Computed tomography of the spine — Sagittal slice 273/512 — Bone window (WL 400, WW 1800) — scan covers 13 annotated vertebrae
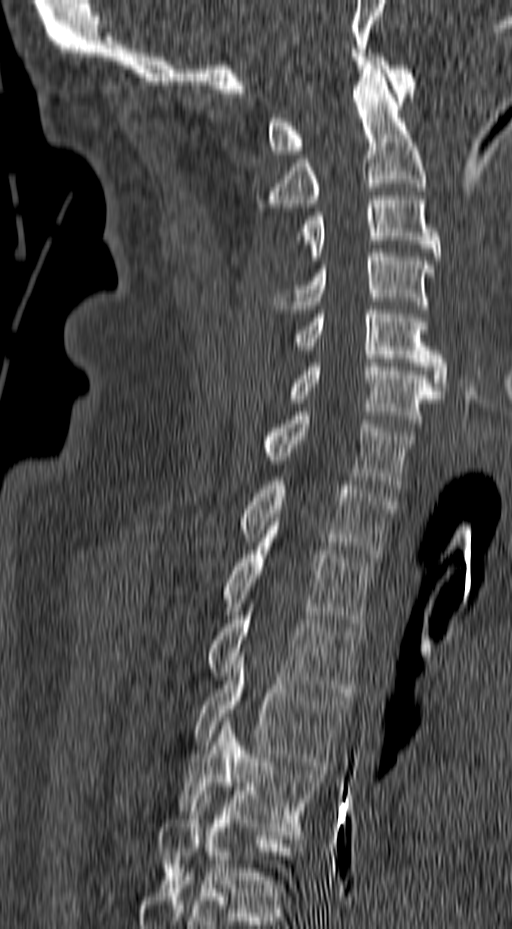 Each box given as x1,y1,x2,y2. The labeled vertebrae in this slice are: C1 at x1=267, y1=53, x2=416, y2=154, C2 at x1=256, y1=65, x2=427, y2=207, C3 at x1=295, y1=196, x2=440, y2=260, C4 at x1=273, y1=253, x2=435, y2=309, C5 at x1=295, y1=306, x2=447, y2=394, C6 at x1=287, y1=359, x2=442, y2=427, C7 at x1=262, y1=412, x2=414, y2=488, T1 at x1=239, y1=481, x2=395, y2=557, T2 at x1=220, y1=542, x2=375, y2=627, T3 at x1=207, y1=607, x2=362, y2=696, T4 at x1=194, y1=652, x2=349, y2=769, T5 at x1=178, y1=717, x2=323, y2=835, T6 at x1=158, y1=795, x2=303, y2=904.